CT spine; 177 mm wide; sagittal reformat
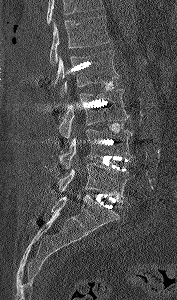
Box edges are left/top/right/bottom in pixels.
Vertebrae that run past the top of the scan are left unlabeled.
| vertebra | x1 | y1 | x2 | y2 |
|---|---|---|---|---|
| L5 | 58 | 163 | 134 | 202 |
| L4 | 59 | 129 | 133 | 169 |
| L3 | 59 | 89 | 129 | 141 |
| L2 | 54 | 50 | 119 | 93 |
| L1 | 49 | 15 | 110 | 65 |